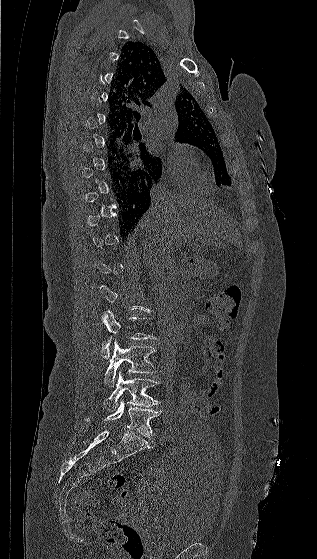
CT, spine — sagittal view — image 317 mm wide — bone-window reconstruction
Bounding boxes as [x1, y1, x2, y2] in pixel coordinates. A vertebra gets a box only on the slices from the first to the last where its cross-section is at least a third of its largest; on a slice outside that range it gets none. The labeled vertebrae in this slice are: L2 at [100, 310, 156, 358], L3 at [104, 340, 156, 387], L4 at [104, 371, 160, 412], L5 at [85, 400, 161, 437].